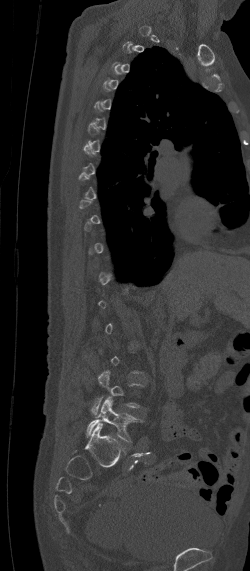 CT, spine — sagittal view
Box edges are left/top/right/bottom in pixels. A vertebra gets a box only on the slices from the first to the last where its cross-section is at least a third of its largest; on a slice outside that range it gets none. Vertebrae labeled: L5 at left=85, top=396, right=144, bottom=441, L4 at left=89, top=370, right=144, bottom=415.